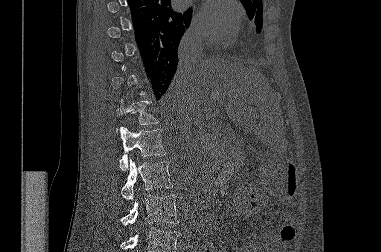
Spine computed tomography. sagittal view. Bone window (WL 400, WW 1800). 381x252 px. Box edges are left/top/right/bottom in pixels.
Each vertebra is boxed only on the slices from the first to the last where its cross-section reaches a third of its largest, so a slice outside that range leaves it unboxed.
Where the bottom of the scan cuts through a vertebra, that vertebra gets no label or box.
| vertebra | x1 | y1 | x2 | y2 |
|---|---|---|---|---|
| T12 | 116 | 99 | 158 | 132 |
| L1 | 119 | 127 | 166 | 170 |
| L2 | 121 | 158 | 172 | 200 |
| L3 | 121 | 195 | 178 | 225 |